CT. the image is 312 mm wide. sagittal reformat
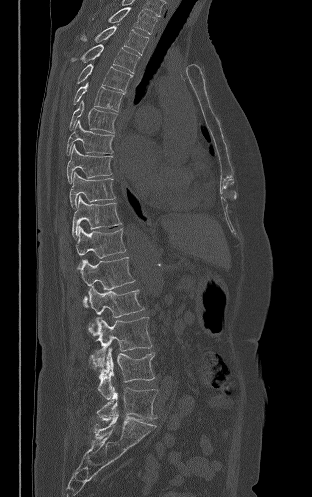
Each box given as x1,y1,x2,y2.
Vertebra bounding boxes:
- T2: x1=109, y1=7, x2=157, y2=34
- T3: x1=81, y1=26, x2=148, y2=55
- T4: x1=71, y1=44, x2=139, y2=73
- T5: x1=77, y1=64, x2=132, y2=92
- T6: x1=74, y1=82, x2=124, y2=111
- T7: x1=69, y1=100, x2=117, y2=133
- T8: x1=66, y1=120, x2=114, y2=154
- T9: x1=66, y1=144, x2=112, y2=183
- T10: x1=69, y1=172, x2=115, y2=207
- T11: x1=72, y1=196, x2=121, y2=238
- T12: x1=76, y1=226, x2=126, y2=269
- L1: x1=80, y1=257, x2=135, y2=306
- L2: x1=88, y1=286, x2=144, y2=317
- L3: x1=88, y1=317, x2=152, y2=365
- L4: x1=90, y1=347, x2=155, y2=399
- L5: x1=97, y1=386, x2=157, y2=421